Spine CT. sagittal reformat
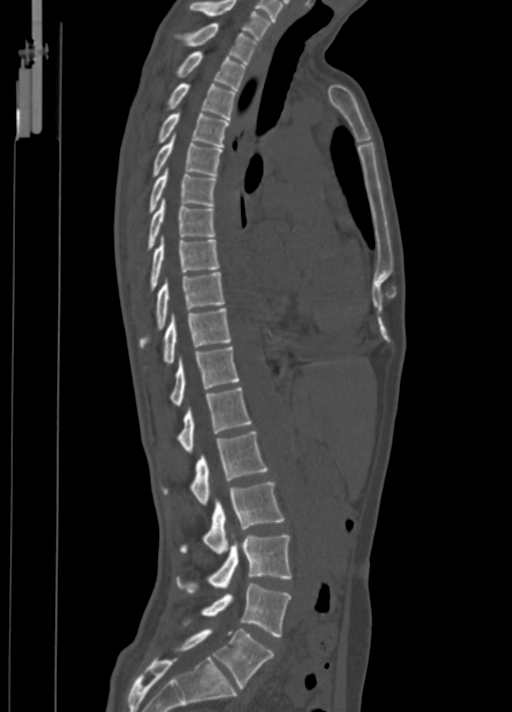

Coordinates as <box>x1,y1,x2,y2</box>.
Vertebra bounding boxes:
- C7: <box>190,0,269,40</box>
- T1: <box>177,23,258,63</box>
- T2: <box>175,51,246,90</box>
- T3: <box>167,83,236,119</box>
- T4: <box>158,113,228,147</box>
- T5: <box>152,136,223,176</box>
- T6: <box>149,170,217,213</box>
- T7: <box>148,199,215,249</box>
- T8: <box>149,237,220,290</box>
- T9: <box>140,272,224,346</box>
- T10: <box>164,309,231,365</box>
- T11: <box>169,347,239,406</box>
- T12: <box>177,388,252,452</box>
- L1: <box>162,432,268,505</box>
- L2: <box>180,481,284,553</box>
- L3: <box>175,534,291,593</box>
- L4: <box>183,584,291,637</box>
- L5: <box>174,629,274,688</box>